CT — image width 140 mm — sagittal plane, index 175 — scan covers 10 annotated vertebrae
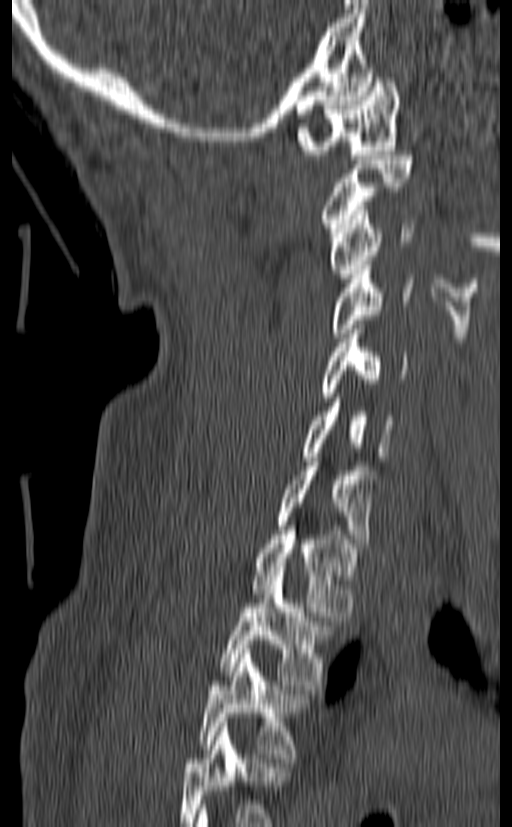

Box edges are left/top/right/bottom in pixels. In this scan, the topmost labeled vertebra is C1 and the lowest is T3. Vertebrae labeled: T3 at left=199, top=649, right=308, bottom=762, T2 at left=219, top=571, right=333, bottom=689, T1 at left=253, top=526, right=357, bottom=616, C7 at left=277, top=457, right=375, bottom=548, C6 at left=301, top=398, right=395, bottom=461, C5 at left=320, top=325, right=410, bottom=401, C4 at left=330, top=265, right=413, bottom=337, C3 at left=330, top=206, right=414, bottom=282, C2 at left=320, top=155, right=414, bottom=232, C1 at left=297, top=73, right=400, bottom=159.